Spine computed tomography; sagittal view; 18 vertebrae labeled in this scan; 447 mm across the image
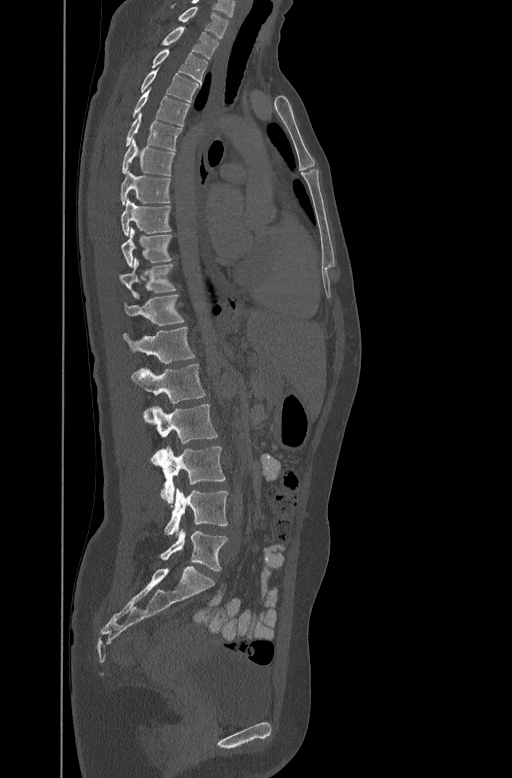 Each box is [x1, y1, x2, y2] in pixels: top-left corner, then bottom-right corner.
{"vertebrae":{"C7":[177,5,229,37],"T1":[161,26,218,58],"T2":[151,48,207,81],"T3":[141,69,199,100],"T4":[132,89,189,125],"T5":[125,111,182,148],"T6":[121,138,174,174],"T7":[120,170,171,204],"T8":[121,198,171,234],"T9":[121,227,172,267],"T10":[119,258,176,296],"T11":[125,292,184,324],"T12":[122,326,195,362],"L1":[132,363,205,403],"L2":[144,404,218,453],"L3":[151,446,225,505],"L4":[160,489,228,534],"L5":[159,531,228,571]}}